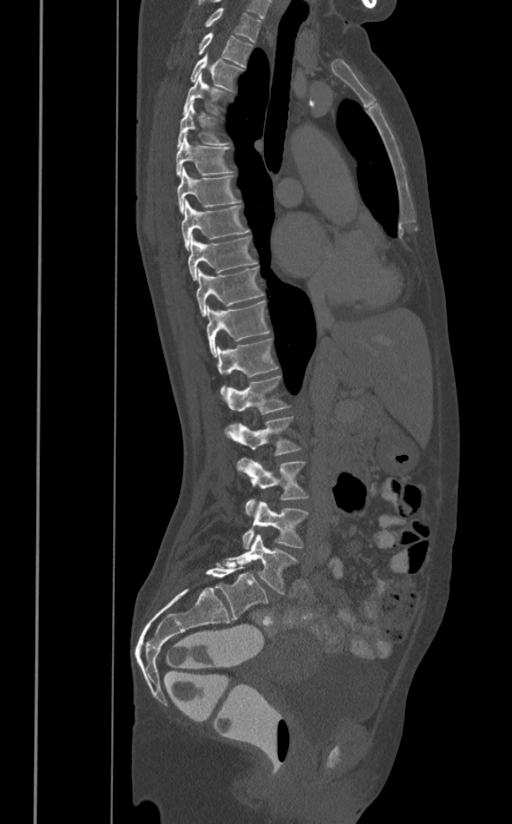
Spine CT · sagittal view · the image spans 391 mm across · Bone window (WL 400, WW 1800)
Boxes: x1:y1:x2:y2 in pixels.
T1: 187:7:261:43
T2: 197:32:253:66
T3: 190:53:243:91
T4: 183:73:227:114
T5: 177:98:228:147
T6: 175:133:233:177
T7: 177:167:241:212
T8: 182:200:250:251
T9: 187:235:257:281
T10: 196:266:265:316
T11: 207:301:270:356
T12: 216:338:279:394
L1: 224:375:291:414
L2: 228:415:301:455
L3: 236:458:309:515
L4: 242:500:309:549
L5: 222:534:297:594